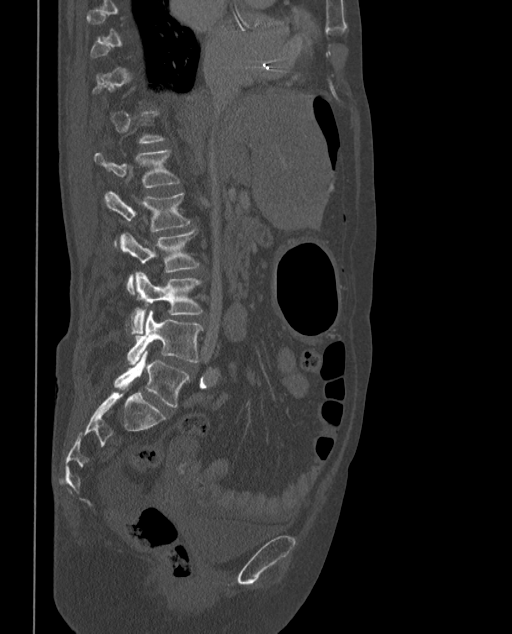

Spine CT; sagittal reformat
Each vertebra maps to its box as [x1, y1, x2, y2], the pixel coordinates of its top-left and bottom-right corners.
A vertebra is boxed only from the first to the last slice where its cross-section is at least a third of its largest; slices outside that range leave it without a box.
In these labels the spine has an L6, a sixth lumbar vertebra below L5.
{"vertebrae":{"L1":[95,151,180,187],"L2":[104,190,190,246],"L3":[119,230,199,294],"L4":[132,272,202,334],"L5":[127,310,202,365],"L6":[114,350,190,407]}}